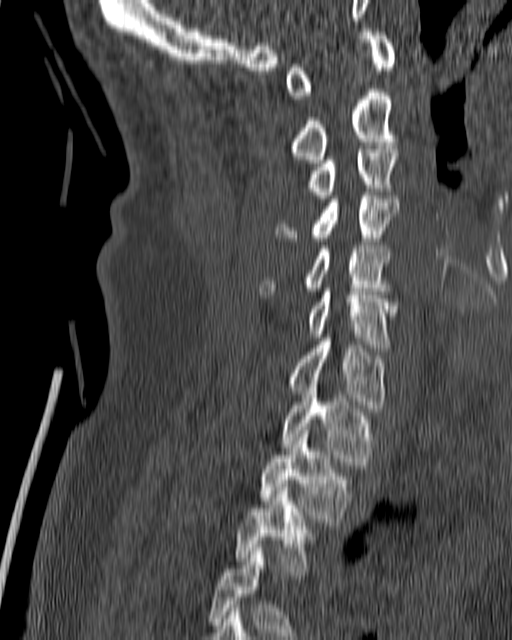 Spine CT; image width 180 mm; sagittal view
Boxes: x1:y1:x2:y2 in pixels. Vertebrae labeled: T4 at 208:548:310:639, T3 at 234:484:318:575, T2 at 259:430:353:522, T1 at 280:388:373:465, C7 at 285:338:387:411, C6 at 305:284:398:347, C5 at 258:245:390:294, C4 at 274:192:399:241, C3 at 305:146:398:202, C2 at 288:92:398:163, C1 at 285:28:395:99.